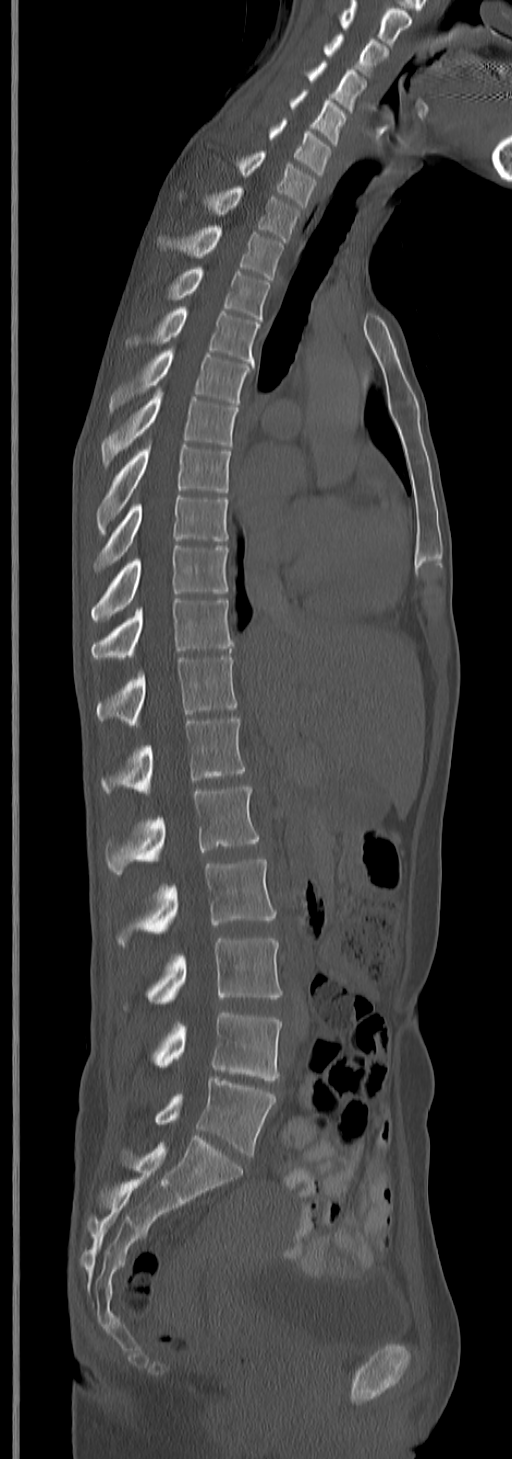

CT, spine · sagittal reformat · W/L 1800/400 HU · 512x1459 px · 245 mm across the image
Box values are [left, top, right, bottom] in pixels.
The highest labeled vertebra in this scan is C3; the lowest is L5.
{"vertebrae":{"C3":[322,34,386,77],"C4":[306,61,365,112],"C5":[289,88,346,146],"C6":[268,118,332,175],"C7":[237,151,317,206],"T1":[205,187,300,240],"T2":[159,226,284,280],"T3":[166,266,269,319],"T4":[126,306,259,363],"T5":[109,348,252,413],"T6":[101,389,238,468],"T7":[97,442,232,535],"T8":[92,494,227,572],"T9":[90,546,227,622],"T10":[90,598,234,660],"T11":[97,655,238,727],"T12":[101,718,246,794],"L1":[105,784,259,875],"L2":[115,858,275,946],"L3":[123,937,282,1011],"L4":[153,1012,282,1080],"L5":[153,1077,275,1158]}}